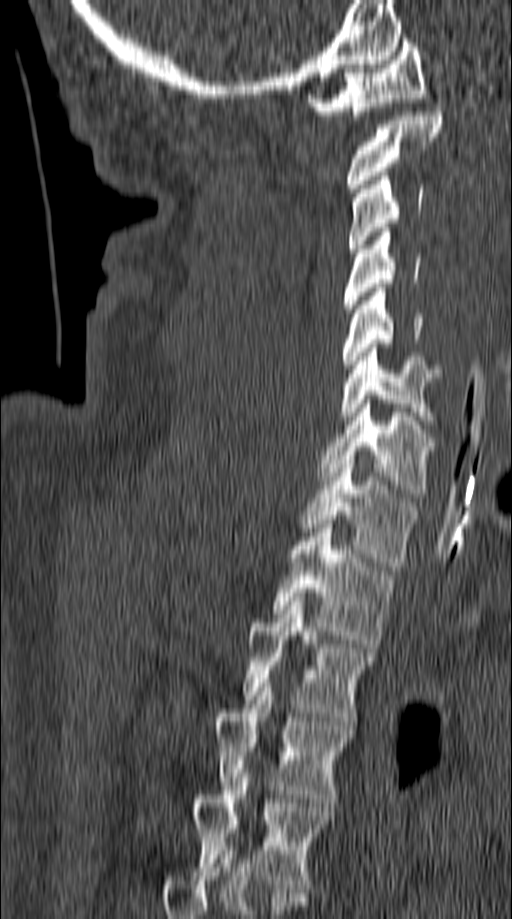

CT · sagittal view · Bone window (WL 400, WW 1800) · 512x919 px
Columns x1, y1, x2, y2 give each box's top-left and bottom-right pixels.
| vertebra | x1 | y1 | x2 | y2 |
|---|---|---|---|---|
| C1 | 306 | 39 | 426 | 119 |
| C2 | 345 | 112 | 443 | 192 |
| C3 | 348 | 172 | 423 | 252 |
| C4 | 345 | 228 | 421 | 313 |
| C5 | 341 | 288 | 423 | 368 |
| C6 | 340 | 344 | 442 | 424 |
| C7 | 317 | 404 | 437 | 497 |
| T1 | 298 | 460 | 417 | 566 |
| T2 | 273 | 524 | 395 | 648 |
| T3 | 242 | 597 | 375 | 721 |
| T4 | 214 | 683 | 354 | 807 |
| T5 | 194 | 773 | 334 | 888 |